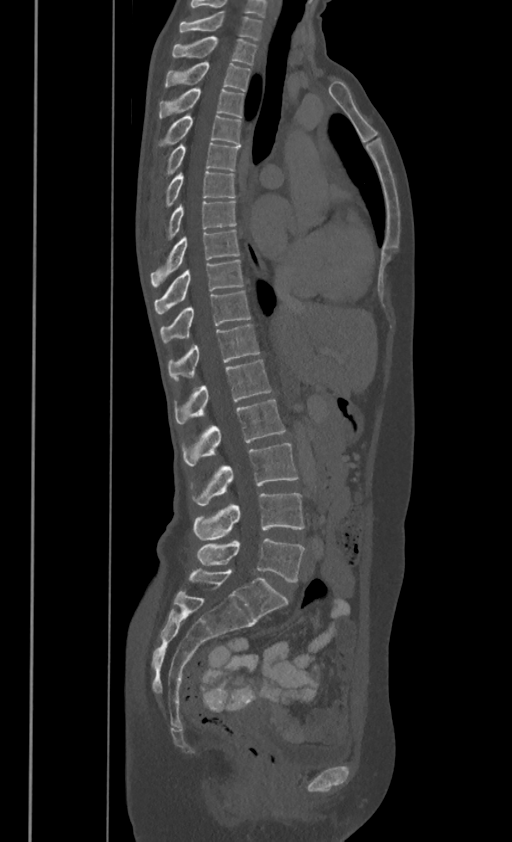

CT spine. sagittal view. bone window. 512x842 px
Columns x1, y1, x2, y2 give each box's top-left and bottom-right pixels.
In these labels the thoracic vertebrae end at T11, so L1 follows T11.
| vertebra | x1 | y1 | x2 | y2 |
|---|---|---|---|---|
| C7 | 179 | 11 | 261 | 38 |
| T1 | 172 | 35 | 256 | 63 |
| T2 | 166 | 61 | 250 | 90 |
| T3 | 159 | 86 | 243 | 115 |
| T4 | 158 | 113 | 240 | 146 |
| T5 | 164 | 142 | 239 | 174 |
| T6 | 164 | 170 | 235 | 207 |
| T7 | 166 | 199 | 236 | 239 |
| T8 | 151 | 229 | 239 | 286 |
| T9 | 155 | 258 | 243 | 312 |
| T10 | 160 | 290 | 251 | 340 |
| T11 | 168 | 324 | 259 | 380 |
| L1 | 175 | 359 | 271 | 423 |
| L2 | 183 | 398 | 284 | 466 |
| L3 | 196 | 443 | 297 | 505 |
| L4 | 193 | 493 | 304 | 540 |
| L5 | 197 | 538 | 304 | 582 |